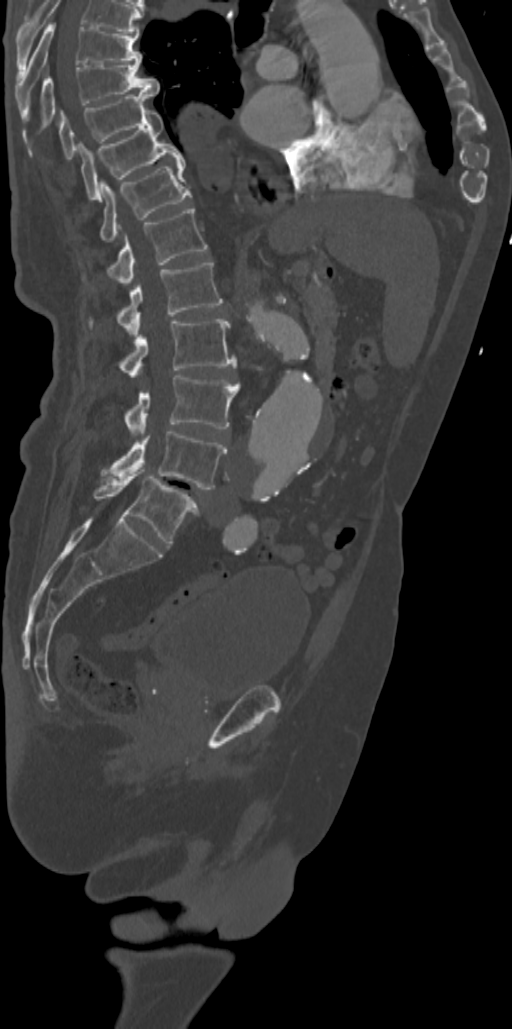
Computed tomography of the spine; sagittal view; 342 mm across the image; W/L 1800/400 HU. Box edges are left/top/right/bottom in pixels. Labels in this scan begin with T7 at the top and end with L5 at the bottom. Vertebrae labeled: L5 at left=93, top=470, right=198, bottom=545, L4 at left=106, top=431, right=226, bottom=489, L3 at left=124, top=375, right=238, bottom=435, L2 at left=120, top=319, right=235, bottom=376, L1 at left=90, top=261, right=222, bottom=336, T12 at left=108, top=207, right=207, bottom=284, T11 at left=100, top=162, right=190, bottom=242, T10 at left=79, top=110, right=184, bottom=199, T9 at left=58, top=92, right=155, bottom=159, T8 at left=40, top=61, right=160, bottom=129, T7 at left=15, top=22, right=141, bottom=120.